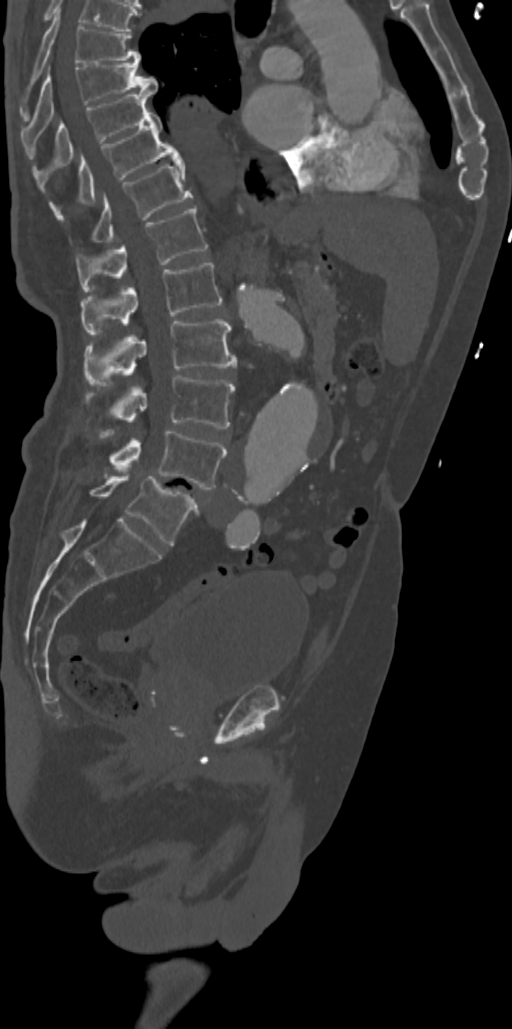

Spine computed tomography · sagittal view · bone window. Coordinates as <box>x1,y1,x2,y2</box>.
Vertebra bounding boxes:
- T7: <box>20,13,140,120</box>
- T8: <box>21,61,157,138</box>
- T9: <box>33,90,153,174</box>
- T10: <box>49,112,182,217</box>
- T11: <box>91,162,192,242</box>
- T12: <box>76,207,207,291</box>
- L1: <box>81,263,222,334</box>
- L2: <box>84,319,237,383</box>
- L3: <box>87,375,234,428</box>
- L4: <box>109,431,226,489</box>
- L5: <box>90,474,198,545</box>